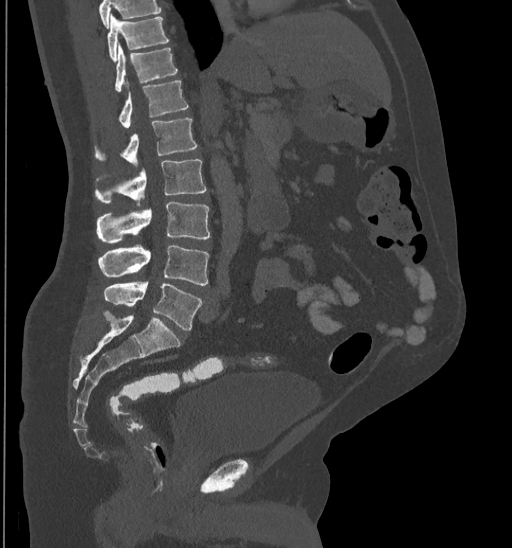 CT spine. 435 mm across the image. sagittal view

Box values are [left, top, right, bottom] in pixels.
Where the top of the scan cuts through a vertebra, that vertebra gets no label or box.
{"vertebrae":{"T10":[107,15,168,60],"T11":[115,44,178,92],"T12":[119,81,188,127],"L1":[95,119,197,166],"L2":[95,159,206,206],"L3":[98,201,210,243],"L4":[98,246,208,285],"L5":[103,282,201,331]}}